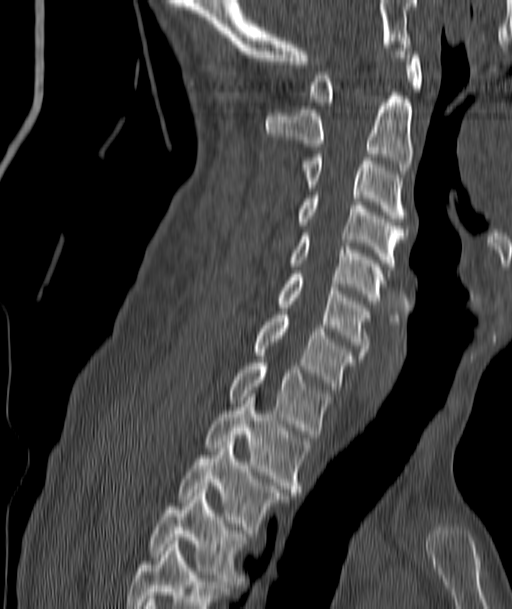

CT, spine · sagittal view · bone-window reconstruction · 512x609 px

Bounding boxes as [x1, y1, x2, y2] in pixel coordinates. 11 vertebrae labeled — C1 at [310, 51, 422, 105]; C2 at [266, 89, 413, 174]; C3 at [302, 154, 405, 218]; C4 at [297, 195, 405, 269]; C5 at [291, 233, 386, 304]; C6 at [277, 274, 369, 355]; C7 at [253, 315, 353, 389]; T1 at [228, 359, 331, 437]; T2 at [206, 397, 309, 492]; T3 at [179, 441, 282, 533]; T4 at [149, 493, 246, 581].